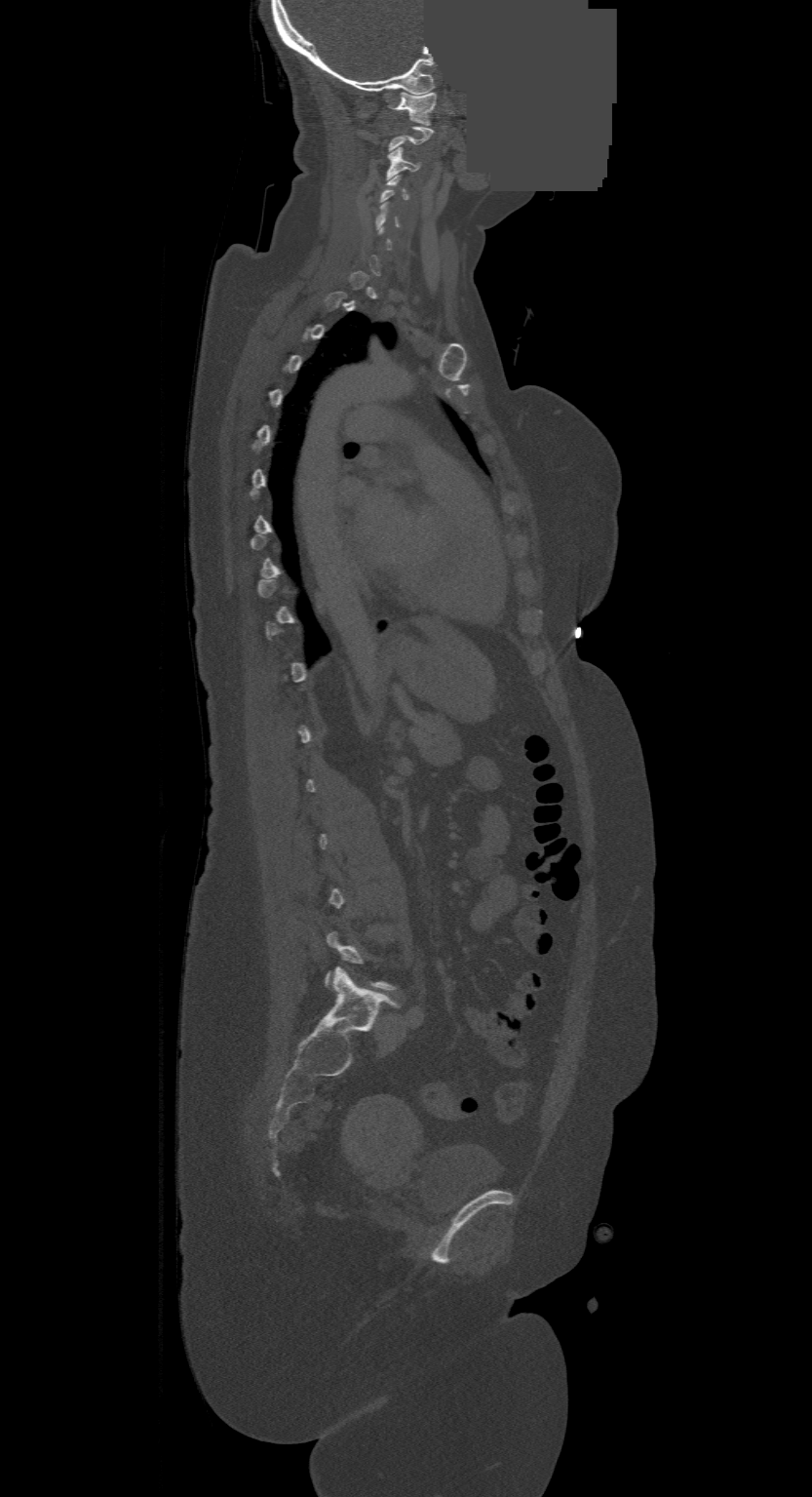
Computed tomography of the spine; 500 mm across the image; sagittal view; part of the image is a flat gray fill, not anatomy. Boxes: x1:y1:x2:y2 in pixels.
Not every vertebra on this slice has a box: a vertebra is boxed only from the first to the last slice where its cross-section is at least a third of its largest, and this slice is outside that range for at least one of them.
C3: 387:148:418:178
C1: 397:92:436:123